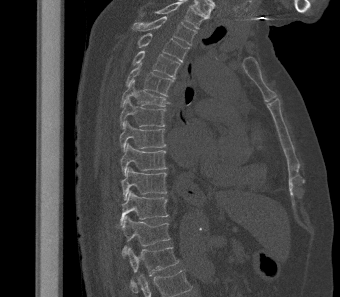
CT spine · sagittal view · bone-window reconstruction
Bounding boxes as [x1, y1, x2, y2] in pixel coordinates. Labels in this scan begin with T2 at the top and end with L1 at the bottom. The labeled vertebrae in this slice are: T2 at [131, 16, 196, 45], T3 at [137, 33, 189, 62], T4 at [132, 50, 180, 78], T5 at [125, 63, 174, 96], T6 at [120, 79, 169, 107], T7 at [120, 98, 165, 127], T8 at [119, 120, 166, 150], T9 at [120, 143, 167, 175], T10 at [121, 167, 167, 200], T11 at [120, 191, 169, 225], T12 at [119, 215, 171, 256], L1 at [127, 247, 179, 295].